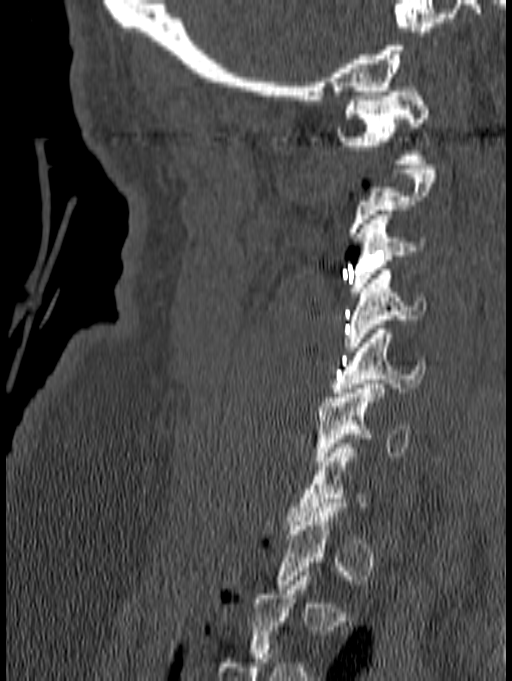 CT — sagittal reformat

Boxes: x1:y1:x2:y2 in pixels.
Not every vertebra on this slice has a box: a vertebra is boxed only from the first to the last slice where its cross-section is at least a third of its largest, and this slice is outside that range for at least one of them.
Vertebra bounding boxes:
- C6: 316:384:410:465
- C5: 330:325:426:397
- C4: 343:270:426:351
- C3: 349:210:424:296
- C1: 335:87:428:164